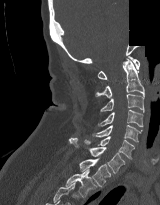 Spine CT — the image is 160 mm wide — sagittal view — Bone window (WL 400, WW 1800) — part of the image is constant black where the scan was masked
<vertebrae><v name="C1" x1="97" y1="55" x2="140" y2="79"/><v name="C2" x1="95" y1="58" x2="144" y2="98"/><v name="C3" x1="100" y1="94" x2="144" y2="112"/><v name="C4" x1="98" y1="109" x2="143" y2="126"/><v name="C5" x1="92" y1="125" x2="142" y2="142"/><v name="C6" x1="84" y1="136" x2="134" y2="159"/><v name="C7" x1="69" y1="138" x2="125" y2="173"/><v name="T1" x1="79" y1="158" x2="111" y2="187"/><v name="T2" x1="66" y1="169" x2="97" y2="197"/></vertebrae>